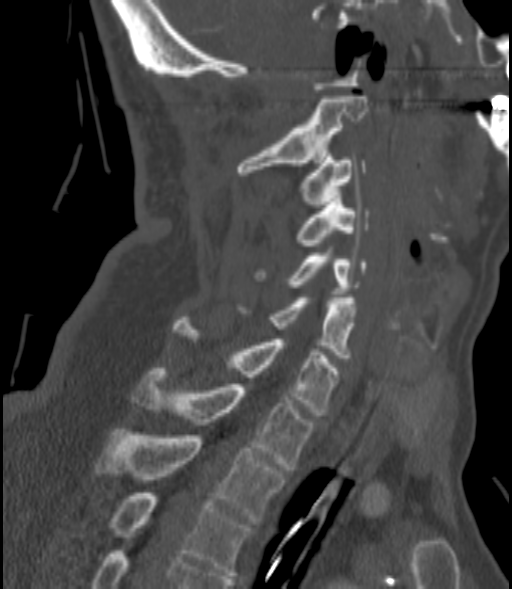
Spine CT; sagittal view; Bone window (WL 400, WW 1800); 512x589 px; the image spans 200 mm across

Bounding boxes as [x1, y1, x2, y2] in pixel coordinates.
Vertebra bounding boxes:
- C2: [237, 96, 366, 175]
- C3: [303, 154, 366, 207]
- C4: [298, 195, 368, 245]
- C5: [259, 250, 366, 290]
- C6: [270, 298, 356, 357]
- C7: [173, 320, 338, 415]
- T1: [131, 371, 312, 469]
- T2: [96, 429, 284, 524]
- T3: [108, 493, 248, 578]